CT spine — sagittal plane, index 274 — bone window — 512x263 px — 10 vertebrae labeled in this scan
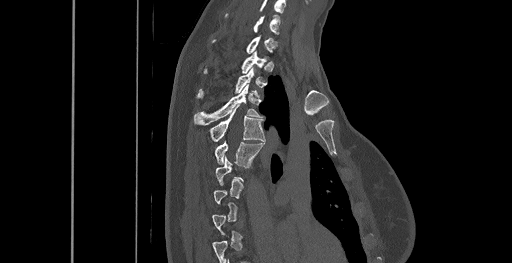 Box edges are left/top/right/bottom in pixels.
A vertebra gets a box only on the slices from the first to the last where its cross-section is at least a third of its largest; on a slice outside that range it gets none.
In this scan, the topmost labeled vertebra is C6 and the lowest is T8.
C6: left=226, top=15, right=280, bottom=34
C7: left=247, top=35, right=276, bottom=53
T1: left=204, top=52, right=265, bottom=73
T3: left=194, top=85, right=262, bottom=125
T4: left=210, top=109, right=265, bottom=141
T5: left=215, top=142, right=263, bottom=166